CT, spine. sagittal plane, index 216. 512x642 px. 392 mm wide
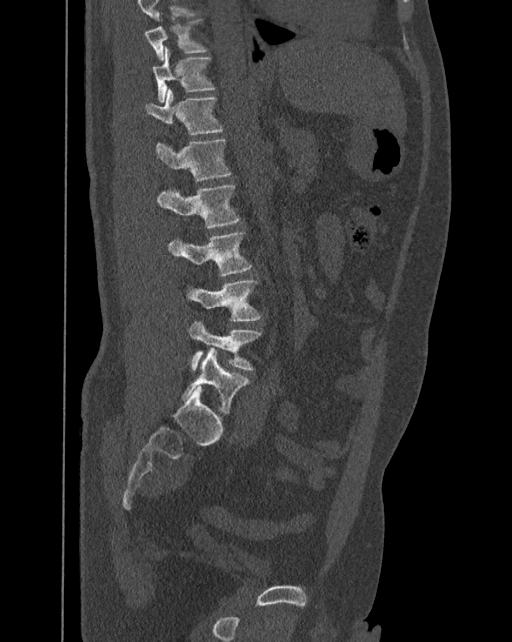
Box edges are left/top/right/bottom in pixels.
This scan's labels start at T10 at the top and end at L6 at the bottom.
The labels name a sixth lumbar vertebra for this spine: L6, after L5.
Vertebra bounding boxes:
- T10: left=144, top=20, right=207, bottom=60
- T11: left=153, top=47, right=214, bottom=102
- T12: left=145, top=89, right=223, bottom=134
- L1: left=155, top=139, right=231, bottom=181
- L2: left=157, top=185, right=239, bottom=228
- L3: left=168, top=232, right=251, bottom=275
- L4: left=187, top=280, right=260, bottom=321
- L5: left=189, top=321, right=261, bottom=370
- L6: left=182, top=347, right=248, bottom=413